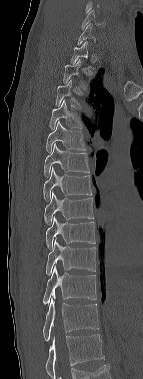

CT, spine · sagittal reformat. Boxes: x1 y1 x2 y2 (pixel coords, space-separated).
Not every vertebra on this slice has a box: a vertebra is boxed only from the first to the last slice where its cross-section is at least a third of its largest, and this slice is outside that range for at least one of them.
The highest labeled vertebra in this scan is C6; the lowest is T12.
Vertebra bounding boxes:
- C6: 81 9 105 29
- T3: 55 79 81 110
- T4: 49 100 82 130
- T5: 45 121 86 152
- T6: 44 143 89 177
- T7: 43 166 91 201
- T8: 44 192 94 225
- T9: 45 216 95 249
- T10: 46 239 95 275
- T11: 43 266 96 306
- T12: 43 298 99 341